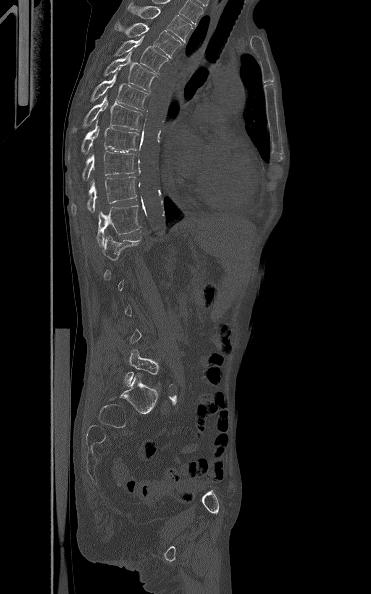
Spine computed tomography; sagittal view; image width 371 mm; bone-window reconstruction

Bounding boxes as [x1, y1, x2, y2] in pixel coordinates.
Not every vertebra on this slice has a box: a vertebra is boxed only from the first to the last slice where its cross-section is at least a third of its largest, and this slice is outside that range for at least one of them.
T3: [128, 1, 191, 42]
T4: [113, 22, 183, 58]
T5: [114, 36, 169, 73]
T6: [103, 52, 156, 91]
T7: [90, 74, 148, 109]
T8: [72, 96, 141, 132]
T9: [81, 121, 139, 154]
T10: [82, 151, 136, 180]
T11: [70, 176, 136, 214]
T12: [96, 205, 141, 247]
L5: [124, 349, 159, 386]